Computed tomography of the spine. sagittal view. 432 mm image width. 17 vertebrae labeled in this scan
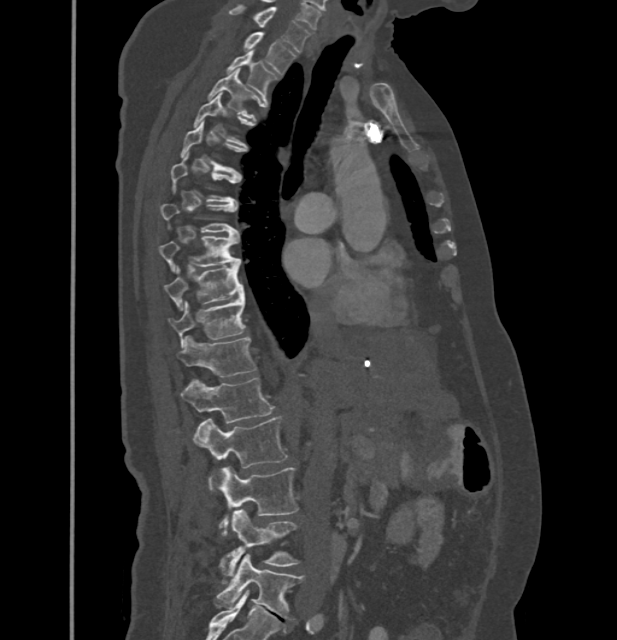
Box edges are left/top/right/bottom in pixels.
Each vertebra is boxed only on the slices from the first to the last where its cross-section reaches a third of its largest, so a slice outside that range leaves it unboxed.
In these labels the spine has no T12: the thoracic vertebrae end at T11, and L1 comes next.
| vertebra | x1 | y1 | x2 | y2 |
|---|---|---|---|---|
| L5 | 216 | 553 | 303 | 619 |
| L4 | 219 | 509 | 298 | 575 |
| L3 | 217 | 466 | 298 | 535 |
| L2 | 193 | 417 | 286 | 489 |
| L1 | 181 | 377 | 273 | 422 |
| T11 | 180 | 336 | 256 | 376 |
| T10 | 169 | 296 | 245 | 344 |
| T9 | 164 | 262 | 244 | 309 |
| T8 | 158 | 235 | 240 | 269 |
| T4 | 194 | 93 | 245 | 145 |
| T3 | 209 | 69 | 256 | 118 |
| T2 | 227 | 50 | 276 | 95 |
| T1 | 245 | 32 | 294 | 74 |
| C7 | 229 | 5 | 309 | 52 |